CT spine; sagittal reformat; bone window; 194x636 px
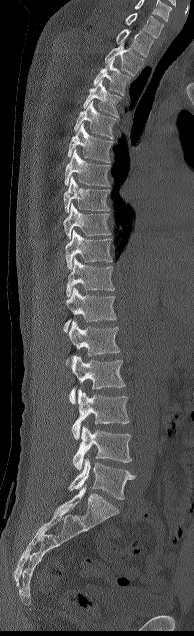

The highest labeled vertebra in this scan is C7; the lowest is L5.
<vertebrae><v name="C7" x1="125" y1="12" x2="164" y2="38"/><v name="T1" x1="116" y1="29" x2="153" y2="56"/><v name="T2" x1="105" y1="43" x2="143" y2="76"/><v name="T3" x1="93" y1="58" x2="130" y2="94"/><v name="T4" x1="83" y1="79" x2="121" y2="117"/><v name="T5" x1="74" y1="101" x2="115" y2="138"/><v name="T6" x1="67" y1="123" x2="112" y2="163"/><v name="T7" x1="64" y1="148" x2="110" y2="186"/><v name="T8" x1="63" y1="176" x2="111" y2="212"/><v name="T9" x1="63" y1="203" x2="111" y2="238"/><v name="T10" x1="65" y1="229" x2="112" y2="269"/><v name="T11" x1="66" y1="257" x2="115" y2="297"/><v name="T12" x1="63" y1="287" x2="116" y2="332"/><v name="L1" x1="65" y1="320" x2="120" y2="368"/><v name="L2" x1="70" y1="355" x2="125" y2="403"/><v name="L3" x1="71" y1="388" x2="129" y2="439"/><v name="L4" x1="72" y1="426" x2="131" y2="470"/><v name="L5" x1="68" y1="458" x2="135" y2="499"/></vertebrae>